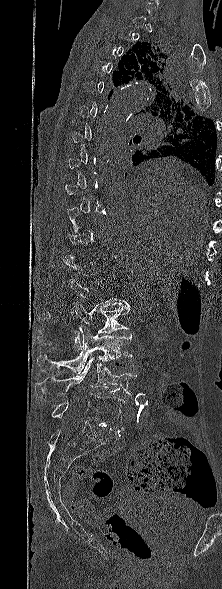
CT — sagittal reformat — the image spans 222 mm across
A vertebra gets a box only on the slices from the first to the last where its cross-section is at least a third of its largest; on a slice outside that range it gets none.
<vertebrae><v name="L2" x1="37" y1="301" x2="130" y2="351"/><v name="L3" x1="37" y1="327" x2="132" y2="373"/><v name="L4" x1="34" y1="357" x2="136" y2="397"/><v name="L5" x1="51" y1="394" x2="124" y2="430"/></vertebrae>